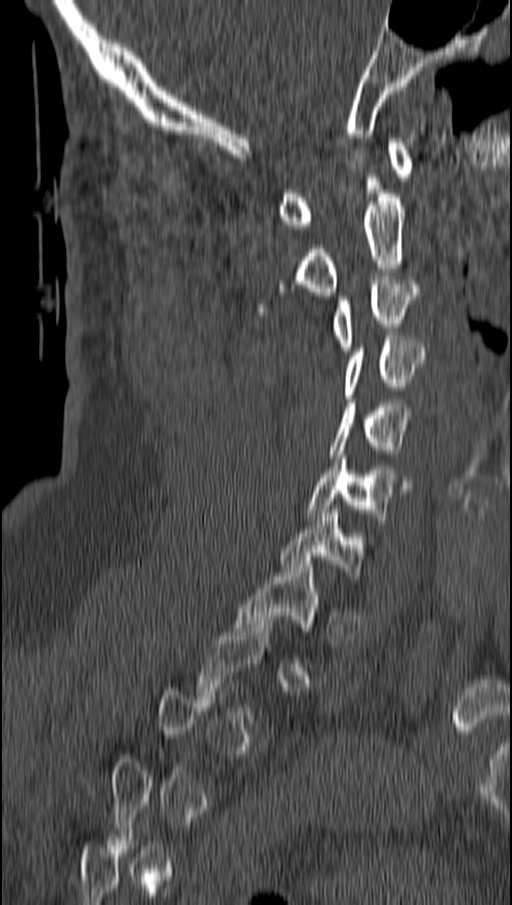
CT spine · 162 mm wide · sagittal view
A vertebra is boxed only from the first to the last slice where its cross-section is at least a third of its largest; slices outside that range leave it without a box.
<vertebrae><v name="T1" x1="235" y1="561" x2="319" y2="631"/><v name="C7" x1="279" y1="510" x2="364" y2="580"/><v name="C6" x1="308" y1="454" x2="413" y2="524"/><v name="C5" x1="330" y1="403" x2="408" y2="457"/><v name="C4" x1="346" y1="336" x2="424" y2="398"/><v name="C3" x1="333" y1="280" x2="418" y2="351"/><v name="C2" x1="258" y1="194" x2="405" y2="311"/><v name="C1" x1="279" y1="138" x2="412" y2="228"/></vertebrae>